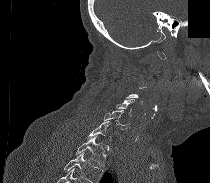 CT spine; sagittal reformat; W/L 1800/400 HU; a region of this slice is masked with a uniform fill
Boxes are (x1, y1, x2, y2) in pixels. Not every vertebra on this slice has a box: a vertebra is boxed only from the first to the last slice where its cross-section is at least a third of its largest, and this slice is outside that range for at least one of them. No box is given to a vertebra that the bottom edge of the scan cuts off. 4 vertebrae labeled — C5 at (116, 99, 134, 116); C6 at (104, 110, 130, 129); C7 at (87, 121, 111, 140); T1 at (75, 135, 107, 165).